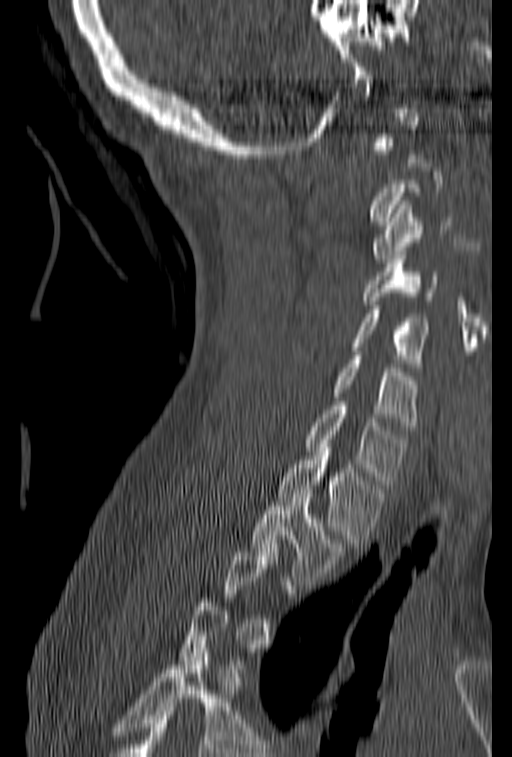

CT spine — sagittal view — 512x757 px — the image spans 153 mm across
Box edges are left/top/right/bottom in pixels. A vertebra is boxed only from the first to the last slice where its cross-section is at least a third of its largest; slices outside that range leave it without a box. Vertebrae labeled: C3 at left=373, top=201, right=459, bottom=263, C4 at left=362, top=251, right=439, bottom=304, C5 at left=353, top=301, right=430, bottom=367, C6 at left=331, top=347, right=418, bottom=430, C7 at left=306, top=397, right=408, bottom=488, T1 at left=278, top=452, right=385, bottom=547, T2 at left=250, top=489, right=346, bottom=580.